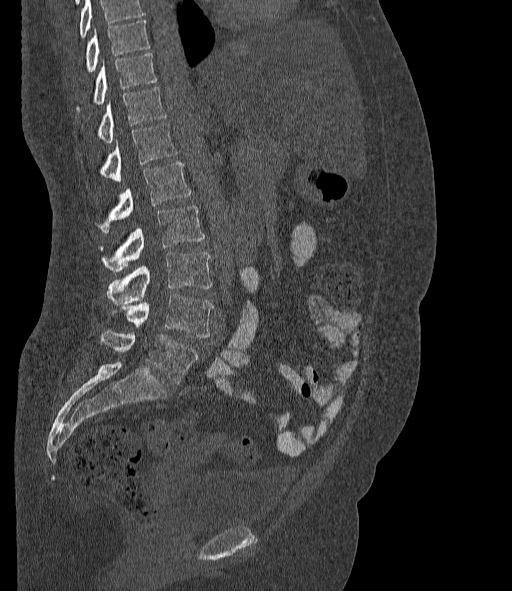 CT, spine — sagittal view

Boxes below are [x1, y1, x2, y2] in pixels.
A vertebra cut off by the top edge of the scan is not labeled and has no box.
The labels name a sixth lumbar vertebra for this spine: L6, after L5.
{"vertebrae":{"T10":[85,20,150,72],"T11":[75,53,156,112],"T12":[98,87,166,142],"L1":[99,124,177,181],"L2":[95,162,190,233],"L3":[99,205,204,271],"L4":[107,253,211,303],"L5":[111,295,213,337],"L6":[99,330,198,383]}}